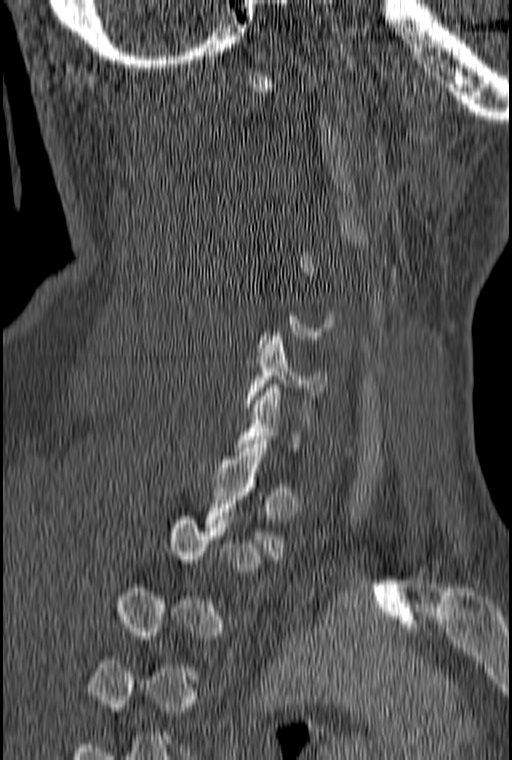
Spine computed tomography. sagittal view
Boxes: x1:y1:x2:y2 in pixels.
A vertebra is boxed only from the first to the last slice where its cross-section is at least a third of its largest; slices outside that range leave it without a box.
Vertebra bounding boxes:
- T1: 203:444:286:559
- C6: 245:332:330:407